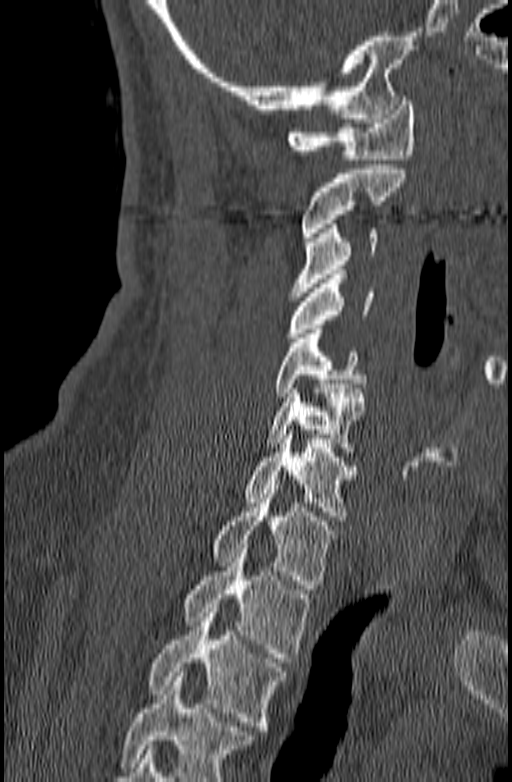

CT — sagittal reformat — 512x782 px

Boxes: x1:y1:x2:y2 in pixels.
No box is given to a vertebra that the bottom edge of the scan cuts off.
T3: 148:603:286:730
T2: 184:544:309:662
T1: 213:485:337:589
C7: 246:430:358:520
C6: 264:384:368:452
C5: 275:329:366:397
C4: 285:270:375:342
C3: 290:224:377:296
C2: 301:165:406:241
C1: 286:96:414:159